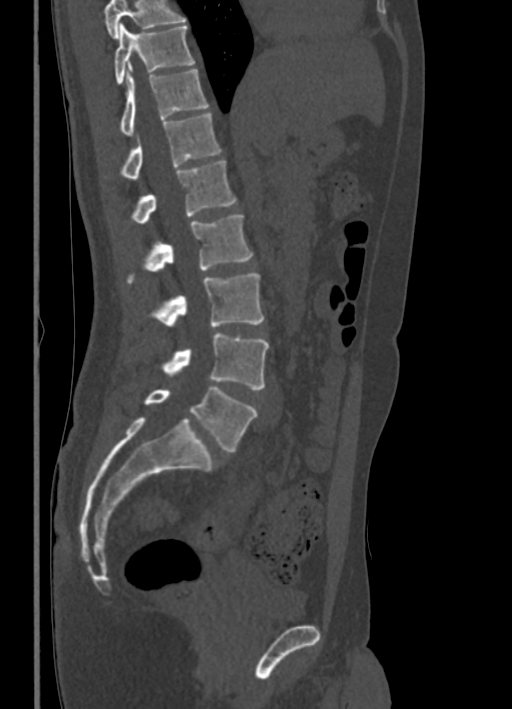

CT, spine; sagittal view; image 336 mm wide; Bone window (WL 400, WW 1800); 512x709 px

Vertebrae that run past the top of the scan are left unlabeled.
<vertebrae><v name="T10" x1="114" y1="24" x2="194" y2="84"/><v name="T11" x1="120" y1="68" x2="208" y2="134"/><v name="T12" x1="120" y1="112" x2="221" y2="178"/><v name="L1" x1="131" y1="160" x2="237" y2="223"/><v name="L2" x1="126" y1="215" x2="253" y2="284"/><v name="L3" x1="151" y1="273" x2="264" y2="327"/><v name="L4" x1="161" y1="334" x2="269" y2="389"/><v name="L5" x1="143" y1="387" x2="256" y2="451"/></vertebrae>